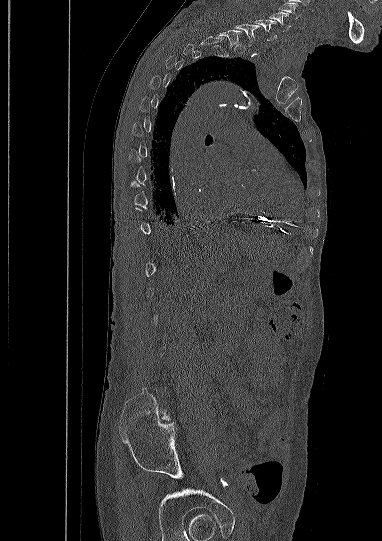
CT spine · sagittal view

In the table, x1 and y1 are a box's top-left corner and x2 and y2 its bottom-right corner, in pixels.
A vertebra is boxed only from the first to the last slice where its cross-section is at least a third of its largest; slices outside that range leave it without a box.
In this scan, the topmost labeled vertebra is C5 and the lowest is L5.
| vertebra | x1 | y1 | x2 | y2 |
|---|---|---|---|---|
| C5 | 270 | 12 | 290 | 31 |
| C6 | 254 | 19 | 277 | 40 |
| C7 | 235 | 24 | 259 | 46 |
| T1 | 218 | 28 | 241 | 50 |